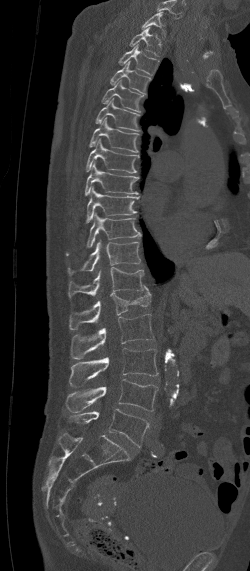 CT spine — sagittal view — the image is 250 mm wide
Boxes are (x1, y1, x2, y2) in pixels.
In this scan, the topmost labeled vertebra is C7 and the lowest is L5.
C7: (141, 12, 166, 37)
T1: (128, 26, 161, 56)
T2: (119, 43, 159, 74)
T3: (110, 61, 150, 94)
T4: (102, 80, 144, 112)
T5: (94, 98, 141, 131)
T6: (89, 116, 139, 152)
T7: (86, 138, 139, 173)
T8: (85, 161, 139, 195)
T9: (87, 188, 139, 222)
T10: (66, 214, 141, 255)
T11: (68, 242, 140, 273)
T12: (68, 267, 144, 299)
L1: (69, 286, 152, 329)
L2: (70, 314, 155, 358)
L3: (69, 348, 158, 386)
L4: (66, 379, 158, 412)
L5: (69, 409, 150, 446)